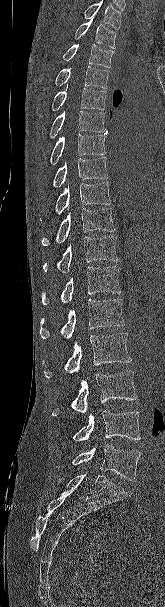 CT. 165 mm image width. sagittal view. 165x607 px
No box is given to a vertebra that the top edge of the scan cuts off.
<vertebrae><v name="L5" x1="56" y1="444" x2="141" y2="481"/><v name="L4" x1="72" y1="411" x2="140" y2="441"/><v name="L3" x1="51" y1="371" x2="137" y2="416"/><v name="L2" x1="42" y1="332" x2="131" y2="378"/><v name="L1" x1="40" y1="299" x2="125" y2="339"/><v name="T12" x1="42" y1="266" x2="121" y2="304"/><v name="T11" x1="43" y1="236" x2="118" y2="272"/><v name="T10" x1="41" y1="208" x2="115" y2="246"/><v name="T9" x1="40" y1="182" x2="110" y2="221"/><v name="T8" x1="53" y1="157" x2="108" y2="187"/><v name="T7" x1="50" y1="134" x2="106" y2="164"/><v name="T6" x1="49" y1="111" x2="107" y2="138"/><v name="T5" x1="51" y1="84" x2="106" y2="111"/><v name="T4" x1="54" y1="66" x2="109" y2="88"/><v name="T3" x1="62" y1="44" x2="114" y2="67"/><v name="T2" x1="74" y1="19" x2="116" y2="48"/></vertebrae>